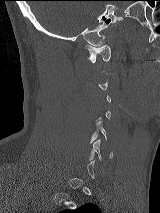 Computed tomography of the spine · sagittal view · Bone window (WL 400, WW 1800)
Boxes below are [x1, y1, x2, y2] in pixels.
Each vertebra is boxed only on the slices from the first to the last where its cross-section reaches a third of its largest, so a slice outside that range leaves it unboxed.
{"vertebrae":{"C1":[84,44,110,62],"C5":[90,121,106,142],"C6":[88,139,112,160]}}